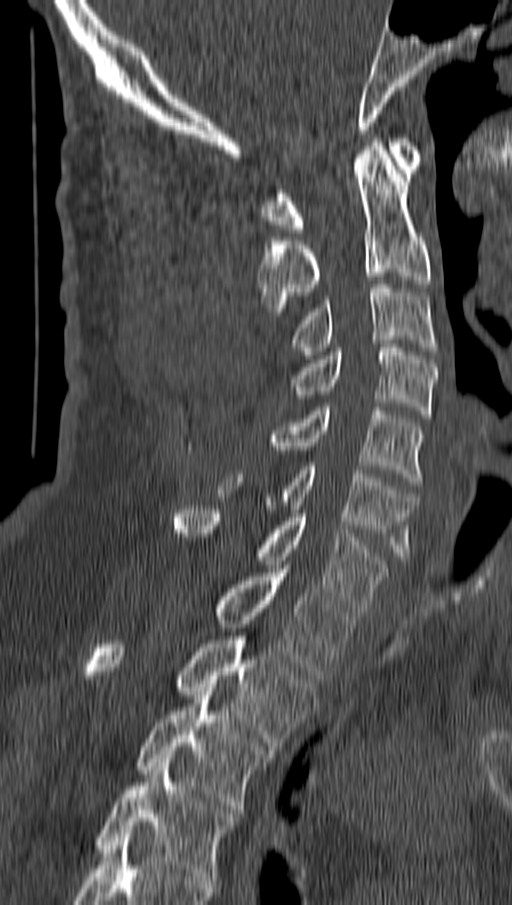

CT — sagittal view — 512x905 px
Coordinates as <box>x1,y1,x2,y2</box>.
C1: <box>263,138,421,232</box>
C2: <box>257,138,430,315</box>
C3: <box>292,284,437,359</box>
C4: <box>292,344,436,418</box>
C5: <box>270,403,424,485</box>
C6: <box>217,466,417,560</box>
C7: <box>175,506,389,611</box>
T1: <box>216,565,354,679</box>
T2: <box>83,632,316,750</box>
T3: <box>137,691,272,813</box>
T4: <box>96,759,237,880</box>